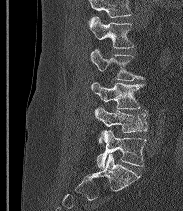

Spine computed tomography. 183 mm image width. sagittal reformat

Boxes below are [x1, y1, x2, y2] in pixels.
A vertebra cut off by the top edge of the scan is not labeled and has no box.
These labels give the spine a sixth lumbar vertebra, L6, below L5.
{"vertebrae":{"L2":[89,16,134,48],"L3":[90,49,144,80],"L4":[91,82,144,109],"L5":[94,107,148,143],"L6":[97,130,146,168]}}